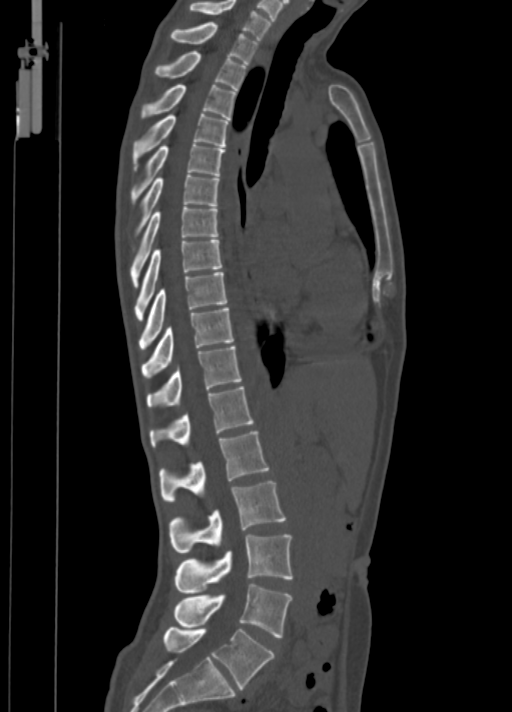

Spine computed tomography · sagittal view · bone window

Each box given as x1,y1,x2,y2.
Vertebra bounding boxes:
- L5: x1=164, y1=626, x2=274, y2=689
- L4: x1=174, y1=584, x2=291, y2=637
- L3: x1=174, y1=534, x2=293, y2=593
- L2: x1=169, y1=481, x2=285, y2=552
- L1: x1=159, y1=432, x2=269, y2=501
- T12: x1=149, y1=386, x2=253, y2=447
- T11: x1=146, y1=345, x2=242, y2=407
- T10: x1=142, y1=307, x2=233, y2=376
- T9: x1=139, y1=272, x2=227, y2=349
- T8: x1=134, y1=240, x2=221, y2=321
- T7: x1=130, y1=206, x2=218, y2=286
- T6: x1=137, y1=174, x2=218, y2=232
- T5: x1=131, y1=143, x2=224, y2=202
- T4: x1=133, y1=114, x2=228, y2=169
- T3: x1=142, y1=85, x2=236, y2=119
- T2: x1=155, y1=51, x2=246, y2=90
- T1: x1=171, y1=22, x2=258, y2=63
- C7: x1=190, y1=0, x2=271, y2=38